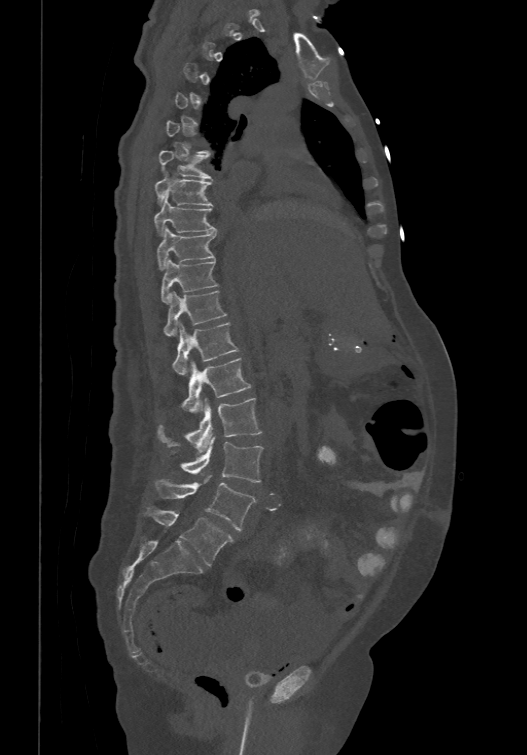 Computed tomography of the spine. sagittal view. 527x755 px. Each box given as x1,y1,x2,y2.
A vertebra gets a box only on the slices from the first to the last where its cross-section is at least a third of its largest; on a slice outside that range it gets none.
In these labels the spine has an L6, a sixth lumbar vertebra below L5.
| vertebra | x1 | y1 | x2 | y2 |
|---|---|---|---|---|
| L6 | 147 | 508 | 233 | 565 |
| L5 | 154 | 475 | 255 | 531 |
| L4 | 178 | 436 | 263 | 482 |
| L3 | 157 | 397 | 261 | 453 |
| L2 | 181 | 357 | 251 | 413 |
| L1 | 172 | 322 | 239 | 374 |
| T12 | 164 | 290 | 226 | 334 |
| T11 | 161 | 257 | 218 | 304 |
| T10 | 156 | 225 | 216 | 269 |
| T9 | 154 | 194 | 217 | 234 |
| T8 | 154 | 172 | 212 | 204 |
| T7 | 158 | 150 | 211 | 178 |